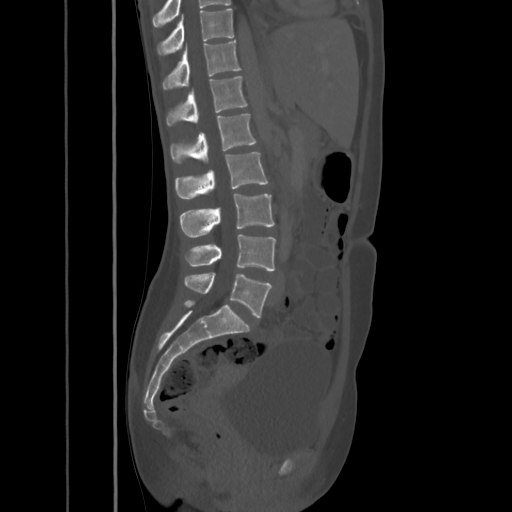 Spine CT; sagittal view
Box values are [left, top, right, bottom] in pixels.
{"vertebrae":{"T10":[157,9,234,55],"T11":[163,40,241,89],"T12":[166,76,247,126],"L1":[170,113,256,163],"L2":[175,152,268,199],"L3":[180,194,274,236],"L4":[186,234,275,270],"L5":[184,272,271,317]}}